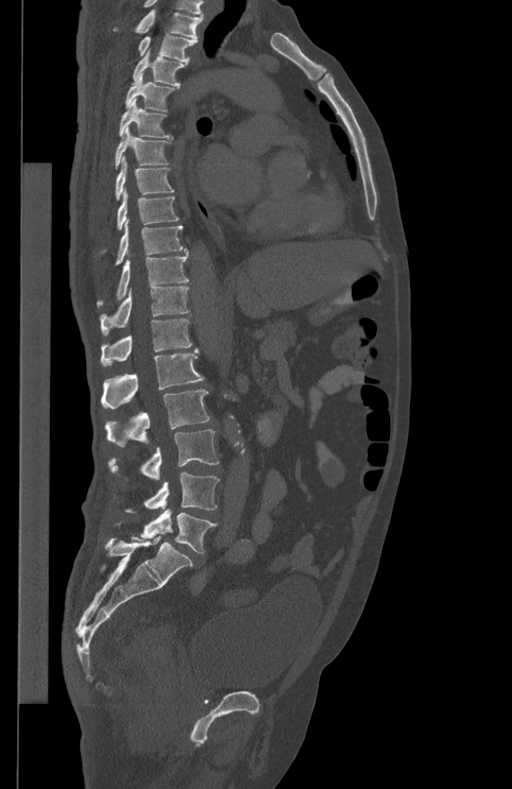
Spine computed tomography · sagittal reformat · bone window · 434 mm wide
<vertebrae><v name="L5" x1="139" y1="509" x2="216" y2="553"/><v name="L4" x1="126" y1="472" x2="220" y2="512"/><v name="L3" x1="110" y1="429" x2="218" y2="480"/><v name="L2" x1="105" y1="389" x2="209" y2="446"/><v name="L1" x1="101" y1="348" x2="203" y2="408"/><v name="T12" x1="100" y1="320" x2="192" y2="365"/><v name="T11" x1="100" y1="287" x2="189" y2="335"/><v name="T10" x1="97" y1="252" x2="189" y2="307"/><v name="T9" x1="114" y1="220" x2="186" y2="265"/><v name="T8" x1="101" y1="191" x2="179" y2="254"/><v name="T7" x1="114" y1="155" x2="175" y2="201"/><v name="T6" x1="114" y1="126" x2="170" y2="169"/><v name="T5" x1="119" y1="99" x2="172" y2="138"/><v name="T4" x1="125" y1="73" x2="175" y2="110"/><v name="T3" x1="132" y1="53" x2="187" y2="86"/><v name="T2" x1="138" y1="34" x2="197" y2="62"/><v name="T1" x1="114" y1="10" x2="203" y2="40"/></vertebrae>